CT; sagittal view; bone window; 216x568 px; 216 mm wide; scan covers 19 annotated vertebrae
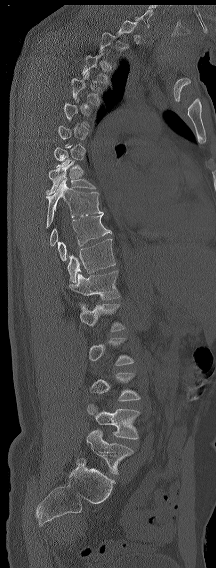

Bounding boxes as [x1, y1, x2, y2] in pixel coordinates. Not every vertebra on this slice has a box: a vertebra is boxed only from the first to the last slice where its cross-section is at least a third of its largest, and this slice is outside that range for at least one of them. These labels give the spine a sixth lumbar vertebra, L6, below L5. The labeled vertebrae in this slice are: L6 at [86, 429, 133, 474], L5 at [87, 404, 140, 439], L4 at [90, 372, 140, 401], L2 at [79, 303, 125, 331], L1 at [68, 270, 120, 299], T12 at [67, 238, 115, 283], T11 at [57, 213, 111, 261], T9 at [46, 179, 102, 227], T8 at [46, 161, 95, 195], T4 at [71, 72, 103, 105], T3 at [82, 53, 109, 84].